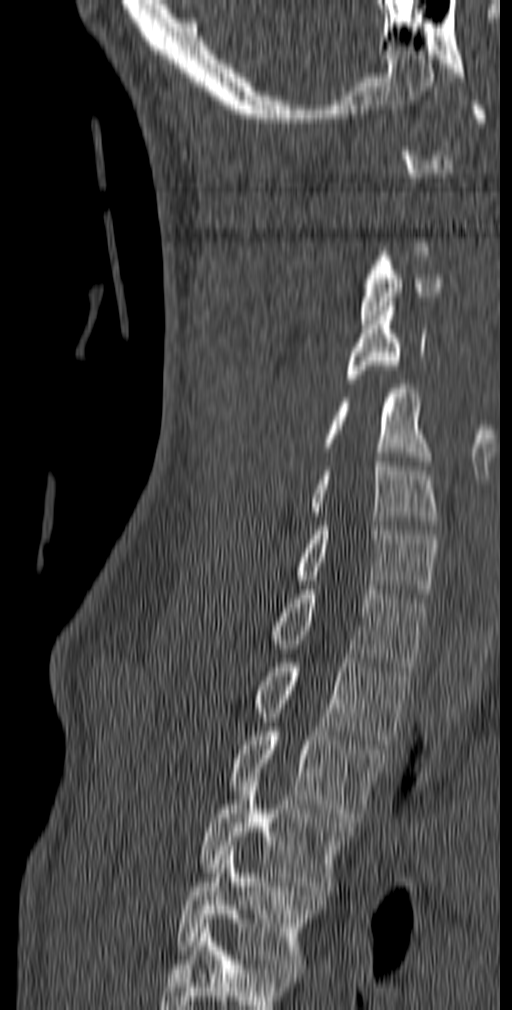
Computed tomography of the spine — sagittal reformat — 140 mm image width — W/L 1800/400 HU — 512x1010 px. Box edges are left/top/right/bottom in pixels.
Each vertebra is boxed only on the slices from the first to the last where its cross-section reaches a third of its largest, so a slice outside that range leaves it unboxed.
This scan's labels start at C1 at the top and end at T5 at the bottom.
Vertebra bounding boxes:
- C3: left=360, top=256, right=443, bottom=324
- C4: left=346, top=302, right=427, bottom=383
- C5: left=323, top=384, right=432, bottom=465
- C6: left=310, top=457, right=439, bottom=529
- C7: left=296, top=521, right=438, bottom=598
- T1: left=269, top=585, right=427, bottom=671
- T2: left=254, top=658, right=411, bottom=744
- T3: left=228, top=727, right=385, bottom=822
- T4: left=199, top=777, right=354, bottom=900
- T5: left=175, top=846, right=319, bottom=968